CT. sagittal reformat. 371x594 px. 371 mm image width
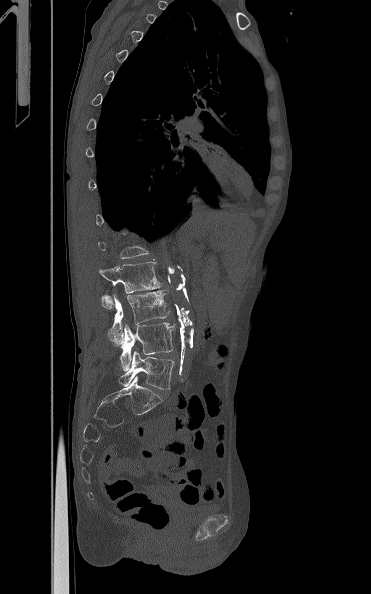
Each box given as x1,y1,x2,y2.
Each vertebra is boxed only on the slices from the first to the last where its cross-section reaches a third of its largest, so a slice outside that range leaves it unboxed.
L5: x1=119, y1=350, x2=174, y2=389
L4: x1=120, y1=322, x2=175, y2=370
L3: x1=108, y1=290, x2=169, y2=344
L2: x1=98, y1=262, x2=162, y2=309